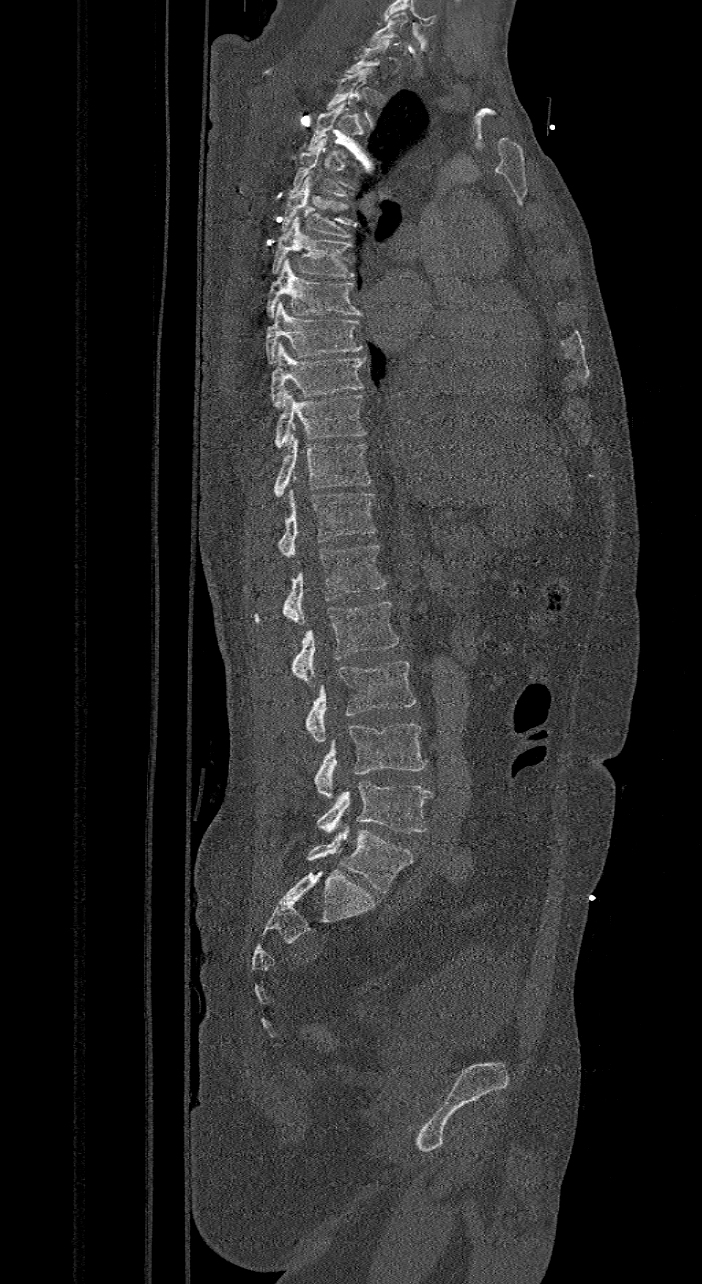 CT; sagittal view; bone window; the image is 421 mm wide

Boxes are given in columns x1, y1, x2, y2, the pixel coordinates of their top-left and bottom-right corners.
Not every vertebra on this slice has a box: a vertebra is boxed only from the first to the last slice where its cross-section is at least a third of its largest, and this slice is outside that range for at least one of them.
These labels give the spine a sixth lumbar vertebra, L6, below L5.
| vertebra | x1 | y1 | x2 | y2 |
|---|---|---|---|---|
| C7 | 367 | 12 | 409 | 46 |
| T4 | 288 | 137 | 347 | 196 |
| T5 | 281 | 177 | 351 | 237 |
| T6 | 271 | 217 | 354 | 277 |
| T7 | 266 | 259 | 362 | 318 |
| T8 | 264 | 302 | 362 | 364 |
| T9 | 270 | 343 | 365 | 406 |
| T10 | 275 | 389 | 366 | 447 |
| T11 | 273 | 432 | 370 | 496 |
| T12 | 278 | 490 | 376 | 556 |
| L1 | 284 | 545 | 385 | 624 |
| L2 | 293 | 600 | 399 | 687 |
| L3 | 307 | 661 | 416 | 742 |
| L4 | 315 | 723 | 427 | 798 |
| L5 | 317 | 781 | 432 | 835 |
| L6 | 307 | 825 | 412 | 893 |